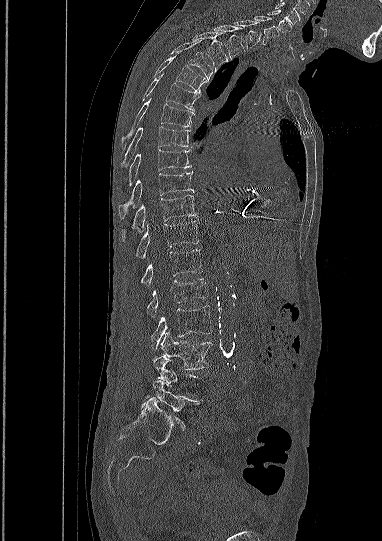
Computed tomography of the spine; sagittal view; W/L 1800/400 HU
Each vertebra maps to its box as [x1, y1, x2, y2], the pixel coordinates of its top-left and bottom-right corners.
A vertebra is boxed only from the first to the last slice where its cross-section is at least a third of its largest; slices outside that range leave it without a box.
{"vertebrae":{"C5":[267,9,291,31],"C6":[254,16,277,44],"C7":[235,20,261,49],"T1":[214,25,244,59],"T2":[192,32,228,71],"T3":[171,42,212,81],"T4":[155,55,206,92],"T5":[143,73,200,110],"T6":[121,99,193,150],"T7":[121,126,190,167],"T8":[121,150,190,192],"T9":[119,171,193,218],"T10":[122,195,196,241],"T11":[135,221,198,258],"T12":[141,250,202,285],"L1":[147,279,207,316],"L2":[151,306,212,349],"L3":[161,332,211,369],"L5":[141,379,198,430]}}